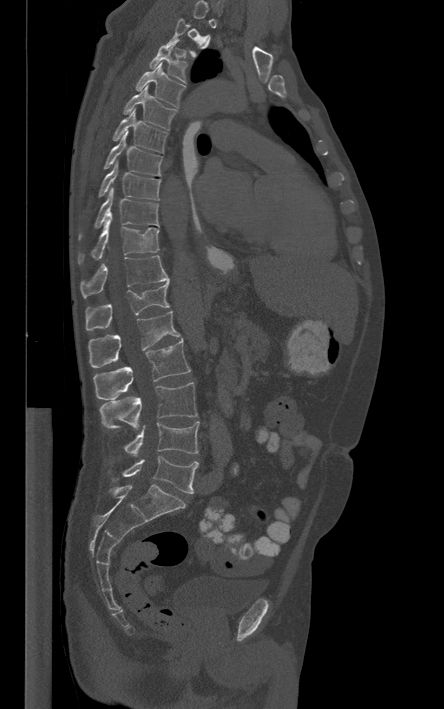 Spine CT · sagittal view · 444x709 px. Boxes are given in columns x1, y1, x2, y2, the pixel coordinates of their top-left and bottom-right corners.
Each vertebra is boxed only on the slices from the first to the last where its cross-section reaches a third of its largest, so a slice outside that range leaves it unboxed.
| vertebra | x1 | y1 | x2 | y2 |
|---|---|---|---|---|
| T3 | 149 | 38 | 189 | 83 |
| T4 | 135 | 62 | 186 | 107 |
| T5 | 122 | 86 | 177 | 130 |
| T6 | 112 | 110 | 168 | 153 |
| T7 | 103 | 132 | 162 | 175 |
| T8 | 98 | 160 | 160 | 200 |
| T9 | 79 | 189 | 158 | 239 |
| T10 | 78 | 220 | 159 | 264 |
| T11 | 80 | 255 | 169 | 297 |
| T12 | 85 | 281 | 169 | 330 |
| L1 | 88 | 311 | 180 | 367 |
| L2 | 94 | 339 | 190 | 400 |
| L3 | 100 | 382 | 197 | 429 |
| L4 | 124 | 421 | 199 | 456 |
| L5 | 112 | 456 | 198 | 493 |